CT · sagittal reformat · bone-window reconstruction · 512x929 px
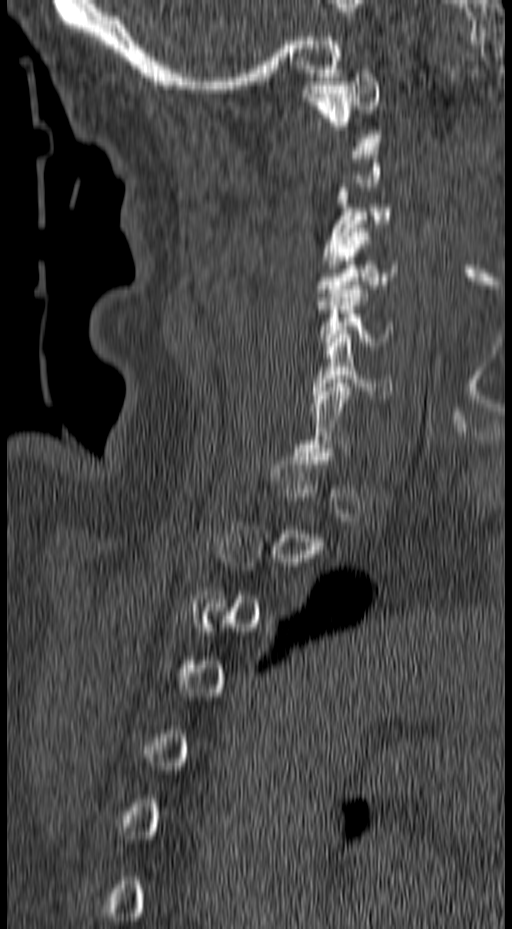
Boxes: x1:y1:x2:y2 in pixels.
Each vertebra is boxed only on the slices from the first to the last where its cross-section reaches a third of its largest, so a slice outside that range leaves it unboxed.
Vertebra bounding boxes:
- C1: 300:69:382:142
- C3: 323:188:391:264
- C4: 315:228:397:301
- C5: 316:285:393:345
- C6: 311:334:392:398